CT spine — 208 mm wide — sagittal view
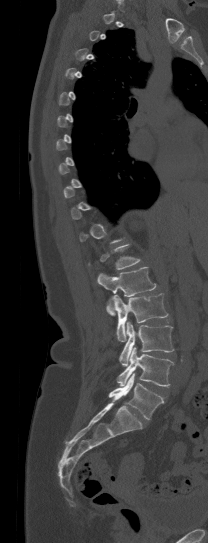 Box edges are left/top/right/bottom in pixels.
Not every vertebra on this slice has a box: a vertebra is boxed only from the first to the last slice where its cross-section is at least a third of its largest, and this slice is outside that range for at least one of them.
Vertebra bounding boxes:
- L1: left=97, top=267, right=155, bottom=315
- L2: left=113, top=293, right=168, bottom=341
- L3: left=119, top=322, right=173, bottom=366
- L4: left=116, top=347, right=173, bottom=386
- L5: left=108, top=374, right=163, bottom=419